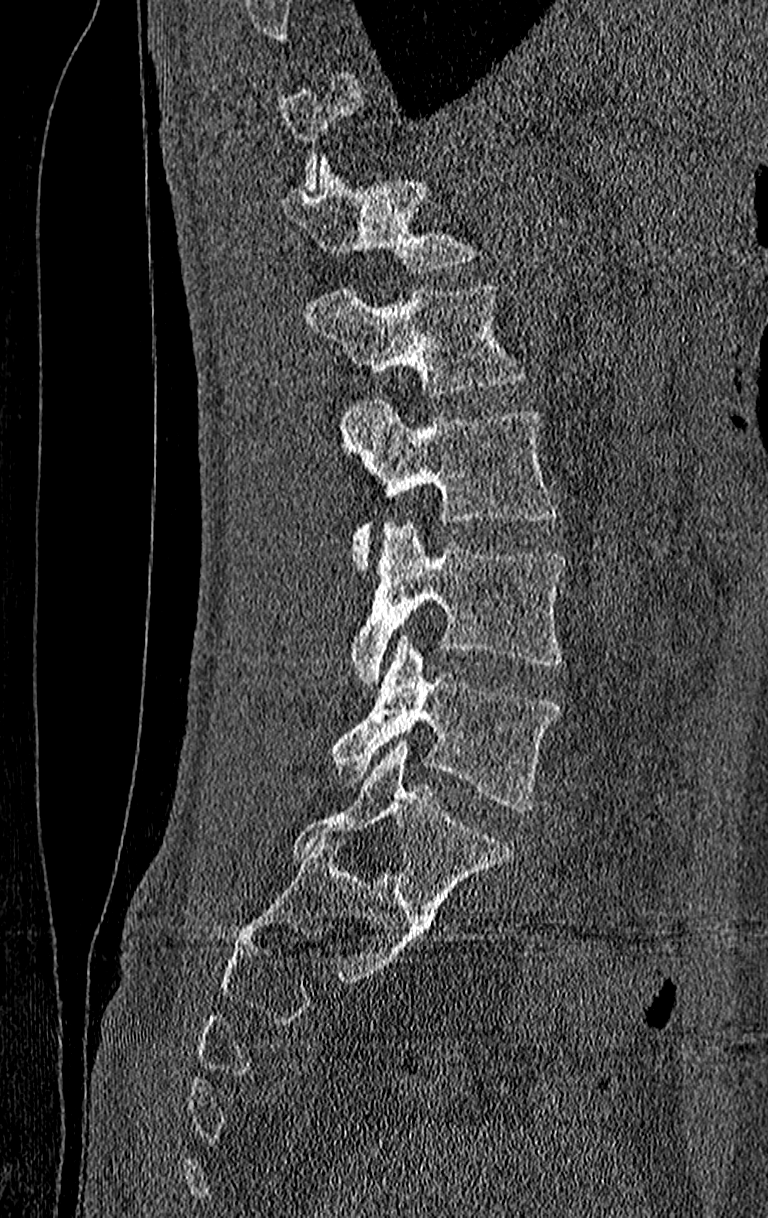

CT spine · sagittal view · 768x1218 px
Each box given as x1,y1,x2,y2.
A vertebra is boxed only from the first to the last slice where its cross-section is at least a third of its largest; slices outside that range leave it without a box.
Labels in this scan begin with T11 at the top and end with L4 at the bottom.
T12: x1=280, y1=155, x2=473, y2=271
L1: x1=306, y1=283, x2=524, y2=396
L2: x1=339, y1=400, x2=557, y2=570
L3: x1=350, y1=520, x2=565, y2=684
L4: x1=331, y1=634, x2=561, y2=812